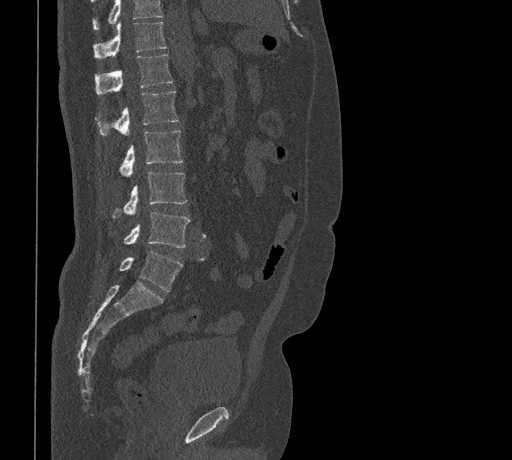

CT — sagittal view — bone window — the image is 461 mm wide
Each vertebra maps to its box as [x1, y1, x2, y2], the pixel coordinates of its top-left and bottom-right corners.
Where the top of the scan cuts through a vertebra, that vertebra gets no label or box.
{"vertebrae":{"T11":[93,22,166,59],"T12":[94,55,172,95],"L1":[95,90,179,135],"L2":[119,130,183,177],"L3":[112,171,186,218],"L4":[123,212,190,247],"L5":[119,251,182,291]}}